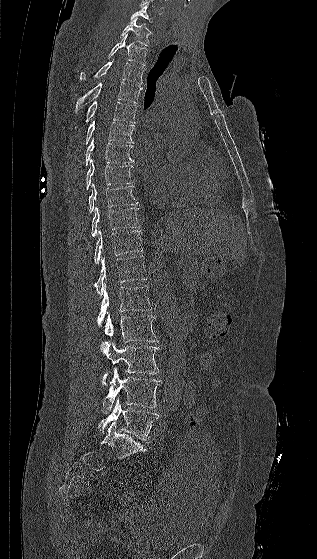 CT; 317 mm wide; sagittal view; bone window
<vertebrae><v name="C7" x1="130" y1="5" x2="151" y2="22"/><v name="T1" x1="120" y1="18" x2="151" y2="46"/><v name="T2" x1="107" y1="34" x2="147" y2="65"/><v name="T3" x1="80" y1="59" x2="144" y2="84"/><v name="T4" x1="75" y1="81" x2="142" y2="111"/><v name="T5" x1="75" y1="101" x2="136" y2="129"/><v name="T6" x1="85" y1="120" x2="134" y2="145"/><v name="T7" x1="85" y1="137" x2="133" y2="165"/><v name="T8" x1="86" y1="159" x2="134" y2="189"/><v name="T9" x1="88" y1="183" x2="138" y2="213"/><v name="T10" x1="91" y1="206" x2="140" y2="236"/><v name="T11" x1="94" y1="230" x2="142" y2="263"/><v name="T12" x1="94" y1="255" x2="147" y2="298"/><v name="L1" x1="97" y1="283" x2="155" y2="327"/><v name="L2" x1="105" y1="313" x2="158" y2="342"/><v name="L3" x1="100" y1="340" x2="160" y2="386"/><v name="L4" x1="102" y1="367" x2="161" y2="414"/><v name="L5" x1="98" y1="397" x2="159" y2="440"/></vertebrae>